Spine computed tomography · sagittal plane, index 236 · W/L 1800/400 HU · 512x923 px
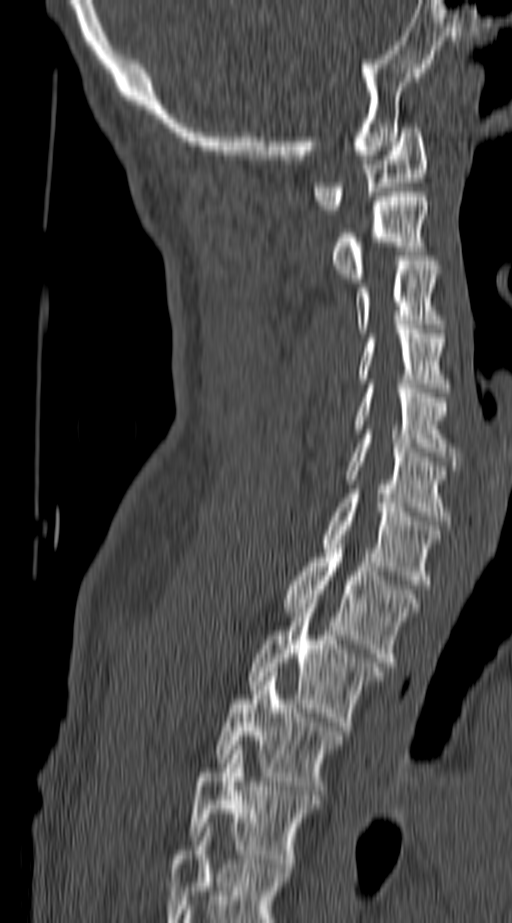 Each vertebra maps to its box as [x1, y1, x2, y2], the pixel coordinates of its top-left and bottom-right corners.
In this scan, the topmost labeled vertebra is C1 and the lowest is T4.
{"vertebrae":{"C1":[312,123,428,214],"C2":[330,192,428,282],"C3":[355,261,443,333],"C4":[356,329,450,392],"C5":[352,384,461,465],"C6":[345,434,450,525],"C7":[320,494,439,584],"T1":[283,549,421,666],"T2":[250,603,384,730],"T3":[217,672,344,799],"T4":[188,745,319,872]}}